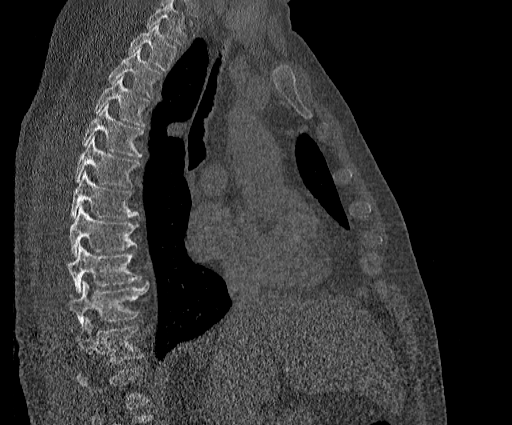
CT, spine. sagittal reformat. W/L 1800/400 HU

Box edges are left/top/right/bottom in pixels. Where the top of the scan cuts through a vertebra, that vertebra gets no label or box. The highest labeled vertebra in this scan is T2; the lowest is T11. The labeled vertebrae in this slice are: T2 at left=128, top=24, right=177, bottom=71, T3 at left=108, top=48, right=161, bottom=98, T4 at left=93, top=76, right=151, bottom=126, T5 at left=81, top=103, right=144, bottom=156, T6 at left=74, top=136, right=140, bottom=187, T7 at left=70, top=171, right=138, bottom=218, T8 at left=69, top=207, right=138, bottom=255, T9 at left=69, top=244, right=141, bottom=292, T10 at left=69, top=281, right=148, bottom=328, T11 at left=73, top=317, right=144, bottom=363.